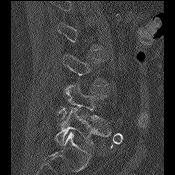
CT; sagittal view
A vertebra gets a box only on the slices from the first to the last where its cross-section is at least a third of its largest; on a slice outside that range it gets none.
<vertebrae><v name="L3" x1="63" y1="54" x2="107" y2="85"/><v name="L4" x1="58" y1="83" x2="106" y2="122"/><v name="L5" x1="55" y1="108" x2="111" y2="145"/></vertebrae>